Spine CT — sagittal view — 183x363 px
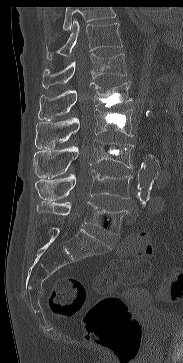

Vertebrae that run past the top of the scan are left unlabeled.
<vertebrae><v name="L5" x1="37" y1="201" x2="128" y2="234"/><v name="L4" x1="35" y1="170" x2="132" y2="200"/><v name="L3" x1="33" y1="139" x2="133" y2="178"/><v name="L2" x1="35" y1="109" x2="133" y2="149"/><v name="L1" x1="38" y1="82" x2="132" y2="120"/><v name="T12" x1="42" y1="53" x2="126" y2="88"/><v name="T11" x1="46" y1="19" x2="122" y2="59"/></vertebrae>